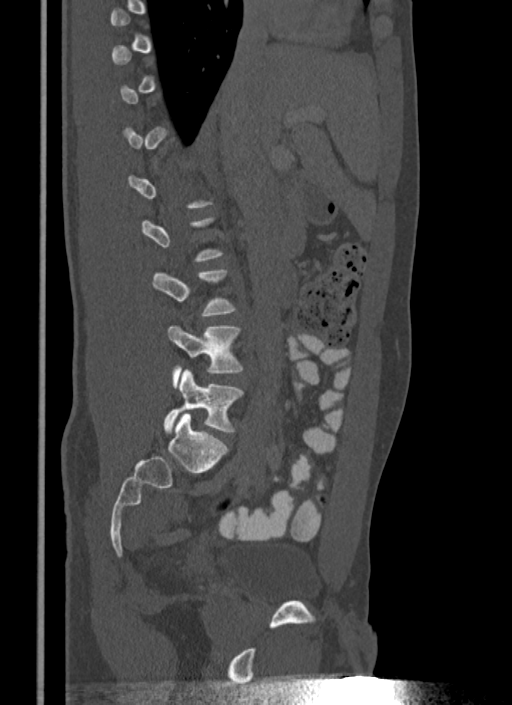

CT spine · sagittal view · 512x705 px · image width 340 mm

Boxes are (x1, y1, x2, y2) in pixels. Not every vertebra on this slice has a box: a vertebra is boxed only from the first to the last slice where its cross-section is at least a third of its largest, and this slice is outside that range for at least one of them. 2 vertebrae labeled — L4 at (167, 325, 243, 386); L5 at (164, 369, 243, 433).